Spine computed tomography — sagittal plane, index 174 — Bone window (WL 400, WW 1800) — scan covers 12 annotated vertebrae
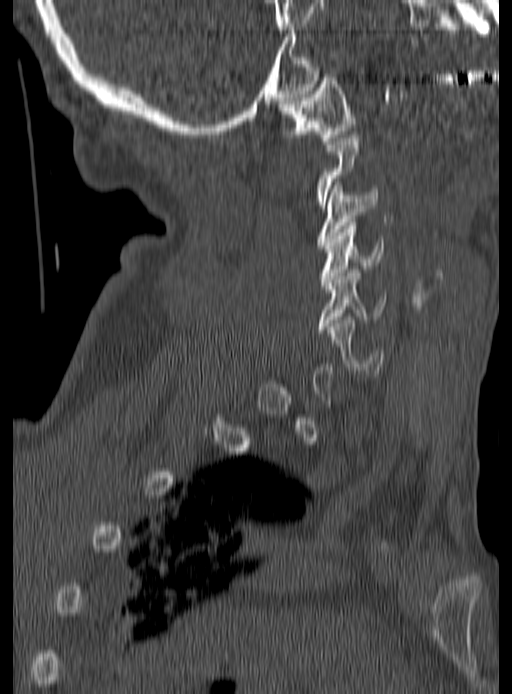 Box edges are left/top/right/bottom in pixels.
A vertebra is boxed only from the first to the last slice where its cross-section is at least a third of its largest; slices outside that range leave it without a box.
| vertebra | x1 | y1 | x2 | y2 |
|---|---|---|---|---|
| C1 | 279 | 74 | 355 | 144 |
| C3 | 315 | 182 | 378 | 245 |
| C4 | 319 | 222 | 383 | 289 |
| C5 | 317 | 269 | 387 | 332 |
| C6 | 327 | 317 | 384 | 376 |